CT, spine. Sagittal slice 33/49. Bone window (WL 400, WW 1800). 211x702 px
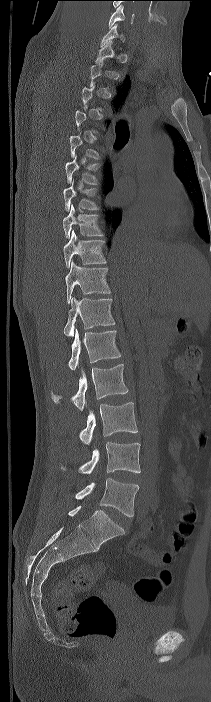
Not every vertebra on this slice has a box: a vertebra is boxed only from the first to the last slice where its cross-section is at least a third of its largest, and this slice is outside that range for at least one of them.
The highest labeled vertebra in this scan is C7; the lowest is L4.
<vertebrae><v name="C7" x1="100" y1="24" x2="125" y2="46"/><v name="T6" x1="65" y1="154" x2="100" y2="184"/><v name="T7" x1="63" y1="178" x2="100" y2="211"/><v name="T8" x1="63" y1="204" x2="104" y2="238"/><v name="T9" x1="63" y1="230" x2="106" y2="267"/><v name="T10" x1="65" y1="259" x2="110" y2="303"/><v name="T11" x1="63" y1="297" x2="115" y2="337"/><v name="T12" x1="68" y1="329" x2="121" y2="369"/><v name="L1" x1="51" y1="364" x2="128" y2="410"/><v name="L2" x1="79" y1="402" x2="137" y2="445"/><v name="L3" x1="60" y1="441" x2="140" y2="474"/><v name="L4" x1="75" y1="478" x2="138" y2="517"/></vertebrae>